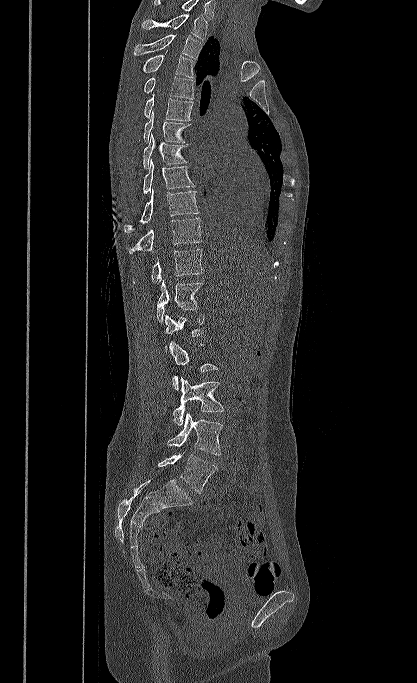
CT spine; the image is 417 mm wide; sagittal view
Each box is [x1, y1, x2, y2] in pixels: top-left corner, then bottom-right corner.
In this scan, the topmost labeled vertebra is T1 and the lowest is L5.
{"vertebrae":{"L5":[157,452,217,493],"L4":[167,412,223,455],"L3":[173,377,224,425],"L2":[168,341,217,390],"L1":[165,313,204,349],"T12":[156,279,203,322],"T11":[133,249,203,283],"T10":[128,217,202,253],"T9":[124,189,199,232],"T8":[143,159,195,194],"T7":[143,132,187,168],"T6":[143,111,190,143],"T5":[144,92,192,120],"T4":[143,76,195,99],"T3":[141,51,195,77],"T2":[134,34,204,59],"T1":[142,14,207,40]}}